Computed tomography of the spine; sagittal view; bone-window reconstruction; the image is 346 mm wide; 346x705 px
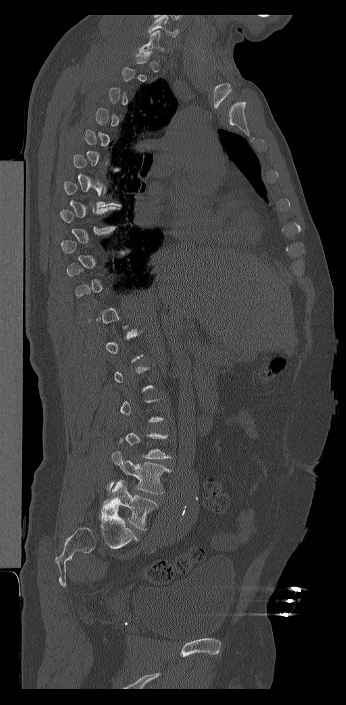 Boxes are (x1, y1, x2, y2) in pixels.
Each vertebra is boxed only on the slices from the first to the last where its cross-section reaches a third of its largest, so a slice outside that range leaves it unboxed.
The highest labeled vertebra in this scan is C7; the lowest is L6.
In these labels the spine has an L6, a sixth lumbar vertebra below L5.
C7: (139, 30, 164, 52)
L5: (106, 451, 172, 494)
L6: (100, 480, 158, 530)